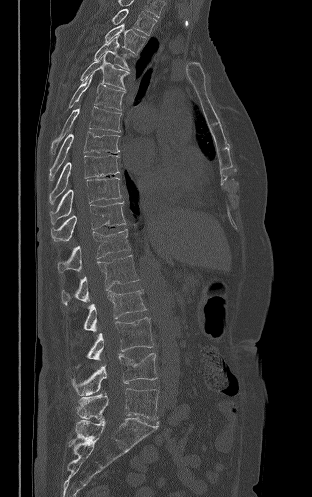
Spine computed tomography; sagittal view

Each row gives a vertebra's box as x1, y1, x2, y2 in pixels: top-left corner, then bottom-right corner.
| vertebra | x1 | y1 | x2 | y2 |
|---|---|---|---|---|
| T2 | 112 | 8 | 157 | 35 |
| T3 | 105 | 23 | 145 | 55 |
| T4 | 94 | 35 | 131 | 70 |
| T5 | 80 | 53 | 129 | 90 |
| T6 | 69 | 72 | 124 | 110 |
| T7 | 51 | 106 | 121 | 153 |
| T8 | 49 | 131 | 119 | 180 |
| T9 | 49 | 155 | 119 | 204 |
| T10 | 50 | 177 | 121 | 224 |
| T11 | 51 | 202 | 126 | 241 |
| T12 | 57 | 229 | 130 | 272 |
| L1 | 61 | 255 | 138 | 305 |
| L2 | 84 | 289 | 146 | 331 |
| L3 | 77 | 317 | 153 | 366 |
| L4 | 71 | 353 | 157 | 395 |
| L5 | 76 | 388 | 158 | 422 |